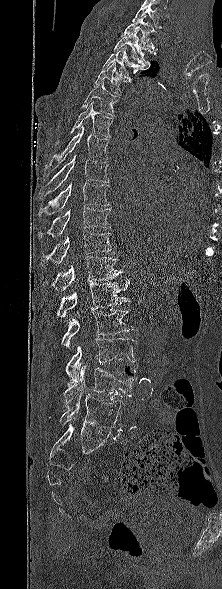 Spine computed tomography; sagittal view; 222x589 px; the image is 222 mm wide
Boxes: x1:y1:x2:y2 in pixels.
This scan's labels start at T1 at the top and end at L5 at the bottom.
Vertebra bounding boxes:
- T1: 120:17:158:51
- T2: 113:31:155:69
- T3: 102:46:144:81
- T4: 93:62:126:95
- T5: 81:80:119:116
- T6: 56:101:113:144
- T7: 44:125:109:176
- T8: 41:154:109:196
- T9: 39:182:109:214
- T10: 39:207:111:236
- T11: 41:230:116:266
- T12: 41:257:123:293
- L1: 56:279:130:317
- L2: 61:308:134:349
- L3: 65:338:136:384
- L4: 63:365:137:407
- L5: 59:394:124:431